Spine computed tomography. sagittal reformat. bone-window reconstruction
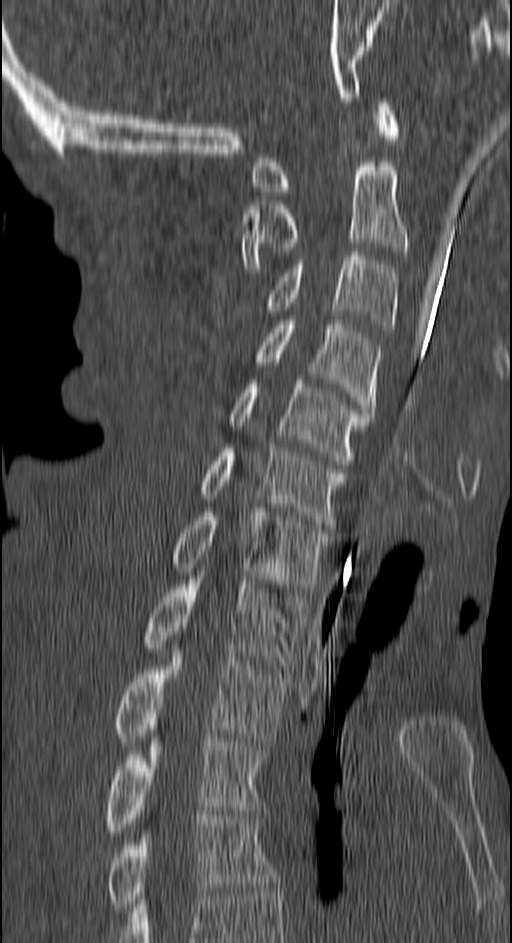 Coordinates as <box>x1,y1,x2,y2</box>. The labeled vertebrae in this slice are: C1 at <box>253,98,400,195</box>, C2 at <box>240,162,406,272</box>, C3 at <box>264,252,396,332</box>, C4 at <box>254,320,379,413</box>, C5 at <box>230,380,372,464</box>, C6 at <box>199,448,345,528</box>, C7 at <box>172,508,331,588</box>, T1 at <box>145,576,305,669</box>, T2 at <box>114,644,288,746</box>, T3 at <box>104,738,263,835</box>, T4 at <box>107,815,277,912</box>.